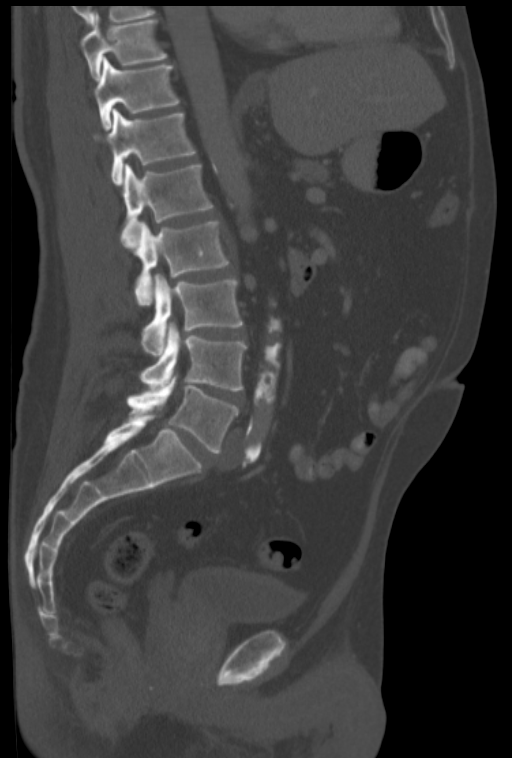 CT spine · sagittal view · the image is 322 mm wide · bone window

Box edges are left/top/right/bottom in pixels.
T10: left=80, top=15, right=166, bottom=80
T11: left=94, top=58, right=179, bottom=130
T12: left=93, top=108, right=195, bottom=185
L1: left=121, top=164, right=212, bottom=249
L2: left=134, top=221, right=228, bottom=304
L3: left=142, top=274, right=243, bottom=355
L4: left=140, top=323, right=246, bottom=390
L5: left=128, top=375, right=238, bottom=454